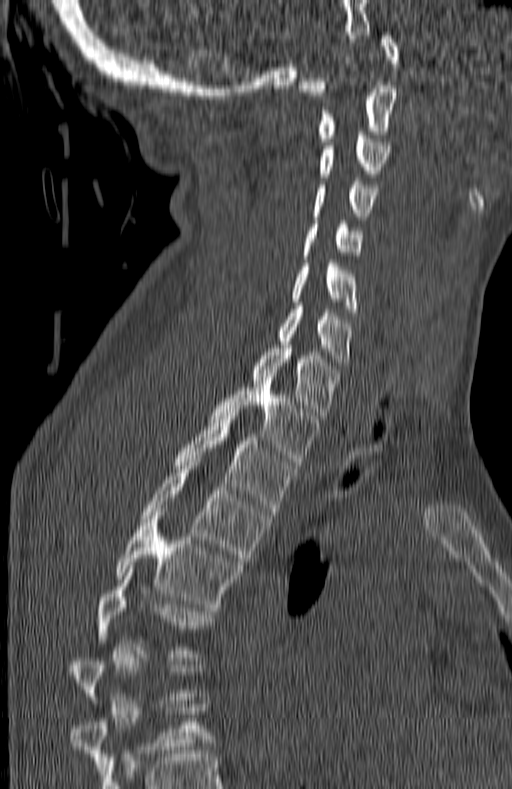

Spine CT. sagittal view
Each box is [x1, y1, x2, y2] in pixels: top-left corner, then bottom-right corner.
A vertebra gets a box only on the slices from the first to the last where its cross-section is at least a third of its largest; on a slice outside that range it gets none.
{"vertebrae":{"C1":[298,32,398,95],"C2":[319,85,395,141],"C3":[319,132,390,177],"C4":[314,181,375,219],"C5":[302,220,361,259],"C6":[291,260,358,312],"C7":[277,306,353,365],"T1":[251,341,338,419],"T2":[211,380,318,465],"T3":[174,412,293,515],"T4":[140,459,270,561],"T5":[115,512,239,611],"T6":[98,569,210,657]}}